CT — sagittal view — 210x183 px — an area of the scan was removed and filled with constant pixels
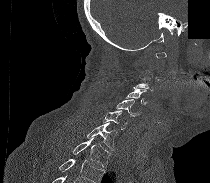

Each box given as x1,y1,x2,y2.
A vertebra is boxed only from the first to the last slice where its cross-section is at least a third of its largest; slices outside that range leave it without a box.
Vertebrae that run past the bottom of the scan are left unlabeled.
Vertebra bounding boxes:
- C3: x1=136, y1=71, x2=153, y2=91
- C4: x1=125, y1=87, x2=149, y2=104
- C5: x1=116, y1=99, x2=140, y2=116
- C6: x1=103, y1=110, x2=127, y2=129
- C7: x1=87, y1=122, x2=116, y2=150
- T1: x1=73, y1=137, x2=112, y2=167